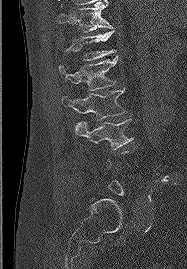
Spine CT · sagittal view · 187x269 px · image 187 mm wide

Box values are [left, top, right, bottom] in pixels.
Each vertebra is boxed only on the slices from the first to the last where its cross-section reaches a third of its largest, so a slice outside that range leaves it unboxed.
{"vertebrae":{"T11":[58,3,112,32],"T12":[65,31,116,60],"L1":[59,56,117,90],"L2":[62,87,126,120],"L3":[75,119,133,149]}}